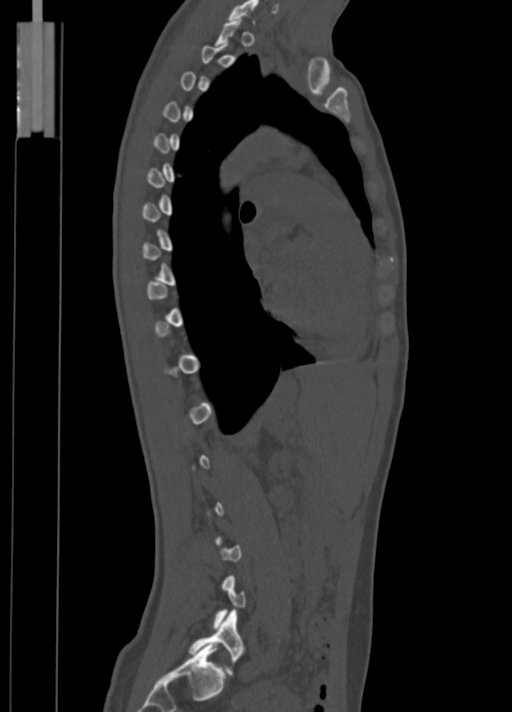
Computed tomography of the spine. sagittal view. 512x712 px. Boxes: x1 y1 x2 y2 (pixel coords, space-separated).
A vertebra is boxed only from the first to the last slice where its cross-section is at least a third of its largest; slices outside that range leave it without a box.
L5: 188 610 243 673
C7: 228 0 258 22